CT; sagittal reformat
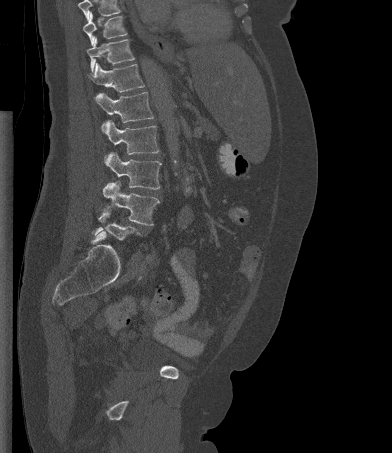
Each box is [x1, y1, x2, y2] in pixels: top-left corner, then bottom-right corner.
A vertebra cut off by the top edge of the scan is not labeled and has no box.
{"vertebrae":{"T10":[83,12,127,44],"T11":[87,37,134,72],"T12":[88,63,144,92],"L1":[94,92,153,123],"L2":[104,120,159,154],"L3":[105,152,161,189],"L4":[103,181,159,225],"L5":[93,206,139,239]}}